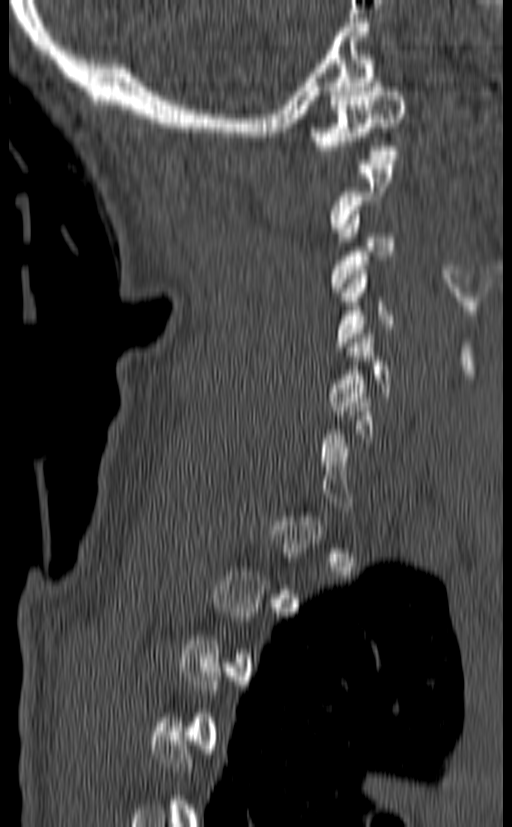

Spine CT · sagittal view · W/L 1800/400 HU. Boxes are (x1, y1, x2, y2) in pixels.
A vertebra is boxed only from the first to the last slice where its cross-section is at least a third of its largest; slices outside that range leave it without a box.
C1: (309, 78, 406, 159)
C3: (331, 210, 394, 292)
C4: (334, 265, 394, 351)
C5: (329, 329, 392, 415)